Spine CT — Sagittal slice 278/512 — part of the image has been replaced by a constant value
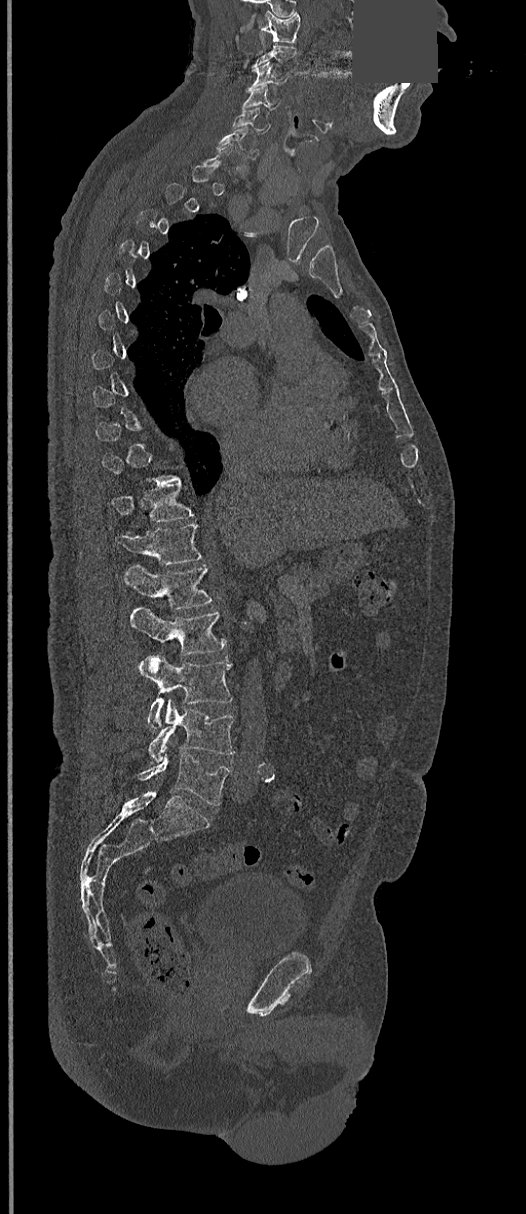 Box edges are left/top/right/bottom in pixels. Not every vertebra on this slice has a box: a vertebra is boxed only from the first to the last slice where its cross-section is at least a third of its largest, and this slice is outside that range for at least one of them. The labeled vertebrae in this slice are: C1 at left=260, top=12, right=300, bottom=42, C3 at left=248, top=61, right=288, bottom=88, C4 at left=242, top=87, right=279, bottom=109, C5 at left=233, top=107, right=272, bottom=133, C6 at left=217, top=127, right=260, bottom=158, T11 at left=113, top=484, right=193, bottom=532, T12 at left=115, top=523, right=201, bottom=565, L1 at left=122, top=564, right=212, bottom=609, L2 at left=129, top=607, right=226, bottom=655, L3 at left=139, top=656, right=232, bottom=728, L4 at left=148, top=698, right=234, bottom=764, L5 at left=139, top=753, right=230, bottom=806.